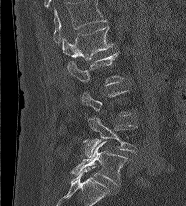

Spine computed tomography · sagittal reformat · bone-window reconstruction · 186x206 px
Boxes below are [x1, y1, x2, y2] in pixels.
Not every vertebra on this slice has a box: a vertebra is boxed only from the first to the last slice where its cross-section is at least a third of its largest, and this slice is outside that range for at least one of them.
The highest labeled vertebra in this scan is L1; the lowest is L5.
{"vertebrae":{"L1":[62,26,113,60],"L2":[65,52,124,85],"L4":[83,116,136,157],"L5":[71,141,128,185]}}